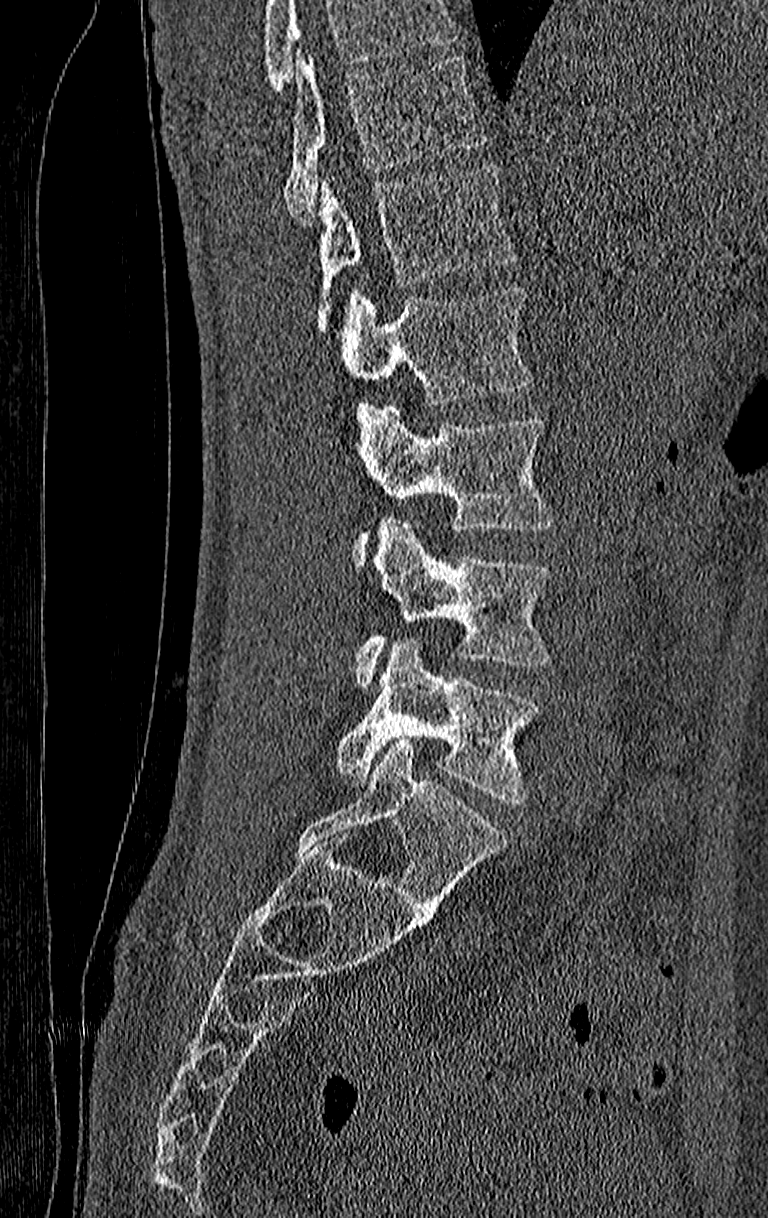
Spine CT. 210 mm across the image. sagittal view
Boxes: x1 y1 x2 y2 (pixel coords, space-separated). Where the top of the scan cuts through a vertebra, that vertebra gets no label or box. The highest labeled vertebra in this scan is T11; the lowest is L4. Vertebrae labeled: T11 at 284 56 488 223, T12 at 317 166 517 330, L1 at 342 286 532 405, L2 at 353 406 554 563, L3 at 357 517 550 687, L4 at 335 637 539 804.